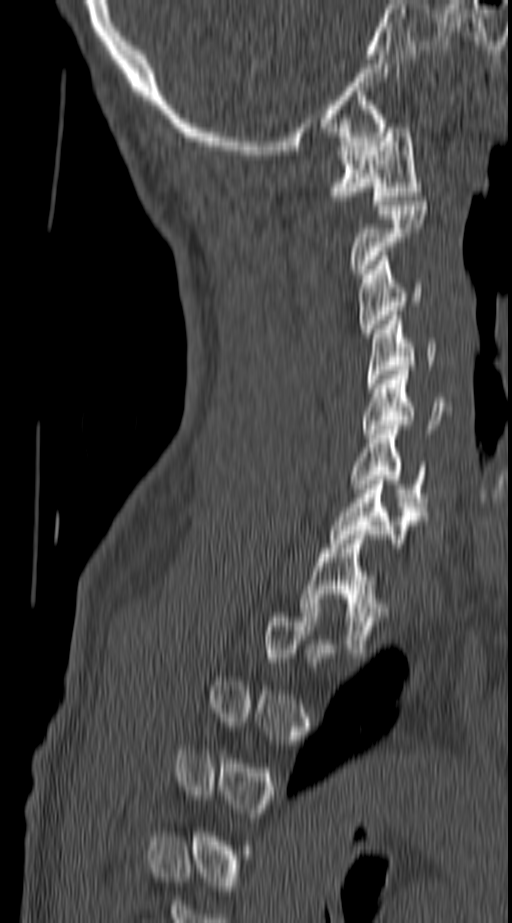
CT, spine. sagittal view. Bone window (WL 400, WW 1800). 512x923 px
Each row gives a vertebra's box as x1, y1, x2, y2 in pixels: top-left corner, then bottom-right corner.
A vertebra is boxed only from the first to the last slice where its cross-section is at least a third of its largest; slices outside that range leave it without a box.
| vertebra | x1 | y1 | x2 | y2 |
|---|---|---|---|---|
| C1 | 330 | 123 | 421 | 205 |
| C2 | 349 | 201 | 428 | 273 |
| C3 | 358 | 256 | 423 | 333 |
| C4 | 367 | 315 | 436 | 388 |
| C5 | 363 | 370 | 451 | 438 |
| C6 | 350 | 425 | 426 | 511 |
| C7 | 330 | 480 | 426 | 548 |
| T1 | 299 | 530 | 388 | 653 |